CT. sagittal reformat
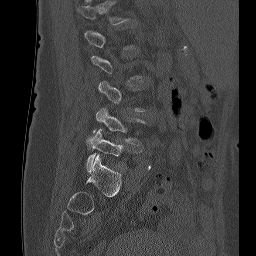

Boxes: x1 y1 x2 y2 (pixel coords, space-separated).
A vertebra is boxed only from the first to the last slice where its cross-section is at least a third of its largest; slices outside that range leave it without a box.
L4: 93 108 144 144
L5: 86 129 123 172